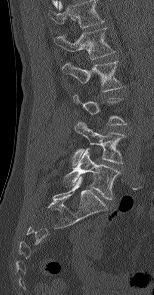
CT; sagittal reformat; Bone window (WL 400, WW 1800); 154x295 px

Each box given as x1,y1,x2,y2.
A vertebra is boxed only from the first to the last slice where its cross-section is at least a third of its largest; slices outside that range leave it without a box.
Labels in this scan begin with L1 at the top and end with L5 at the bottom.
L5: x1=64, y1=148, x2=119, y2=199
L4: x1=72, y1=121, x2=124, y2=165
L2: x1=62, y1=61, x2=122, y2=91
L1: x1=54, y1=28, x2=114, y2=59